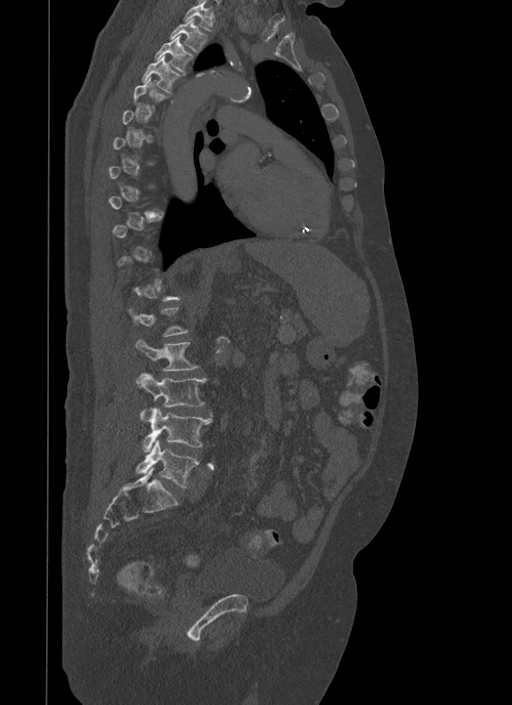

Spine computed tomography. sagittal view. W/L 1800/400 HU. 500 mm across the image

Box edges are left/top/right/bottom in pixels.
Each vertebra is boxed only on the slices from the first to the last where its cross-section reaches a third of its largest, so a slice outside that range leaves it unboxed.
T1: left=183, top=0, right=214, bottom=31
T2: left=170, top=17, right=206, bottom=52
T3: left=155, top=35, right=193, bottom=72
T4: left=143, top=54, right=180, bottom=92
L2: left=136, top=340, right=198, bottom=371
L3: left=136, top=374, right=206, bottom=412
L4: left=144, top=408, right=212, bottom=452
L5: left=137, top=439, right=199, bottom=487